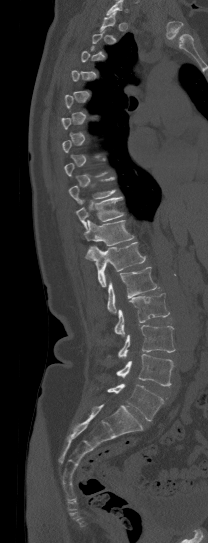 CT; sagittal view; 208x543 px

Bounding boxes as [x1, y1, x2, y2] in pixel coordinates.
A vertebra is boxed only from the first to the last slice where its cross-section is at least a third of its largest; slices outside that range leave it without a box.
T9: [68, 177, 115, 203]
T10: [76, 196, 123, 229]
T11: [84, 220, 133, 245]
T12: [85, 242, 145, 287]
L1: [107, 267, 158, 312]
L2: [114, 293, 169, 336]
L3: [118, 325, 174, 357]
L4: [116, 354, 174, 386]
L5: [107, 384, 163, 420]